CT, spine · image width 377 mm · sagittal plane, index 256
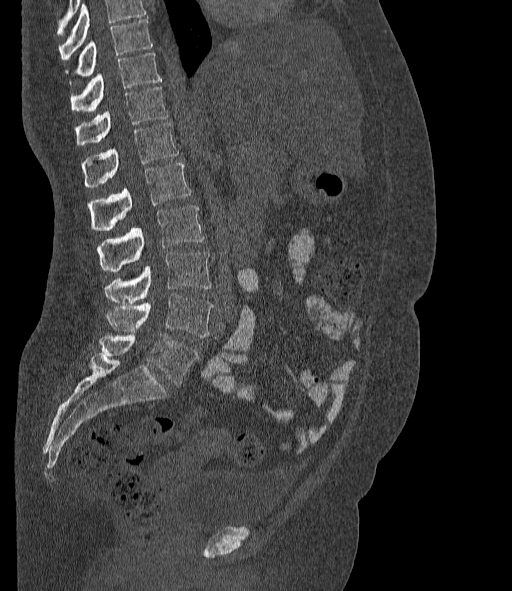 A vertebra cut off by the top edge of the scan is not labeled and has no box.
The labels name a sixth lumbar vertebra for this spine: L6, after L5.
<vertebrae><v name="T10" x1="66" y1="19" x2="152" y2="76"/><v name="T11" x1="70" y1="53" x2="160" y2="110"/><v name="T12" x1="76" y1="87" x2="167" y2="144"/><v name="L1" x1="81" y1="122" x2="178" y2="186"/><v name="L2" x1="88" y1="163" x2="190" y2="230"/><v name="L3" x1="98" y1="205" x2="204" y2="271"/><v name="L4" x1="104" y1="253" x2="211" y2="303"/><v name="L5" x1="106" y1="295" x2="213" y2="337"/><v name="L6" x1="99" y1="333" x2="198" y2="385"/></vertebrae>